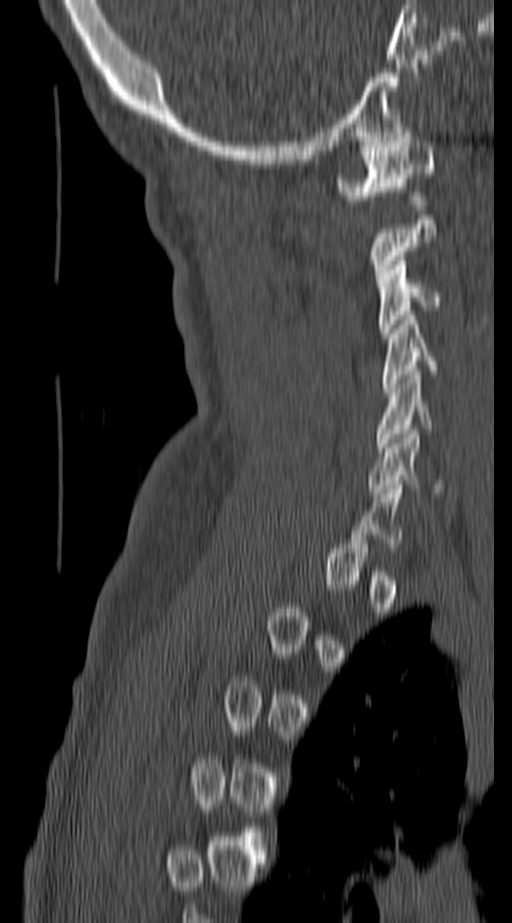 Computed tomography of the spine; sagittal view; W/L 1800/400 HU; 512x923 px

Each box is [x1, y1, x2, y2] in pixels: top-left corner, then bottom-right corner.
Not every vertebra on this slice has a box: a vertebra is boxed only from the first to the last slice where its cross-section is at least a third of its largest, and this slice is outside that range for at least one of them.
{"vertebrae":{"C1":[338,133,436,200],"C3":[378,256,443,337],"C4":[382,315,439,388],"C5":[373,370,432,452],"C6":[367,430,445,493]}}